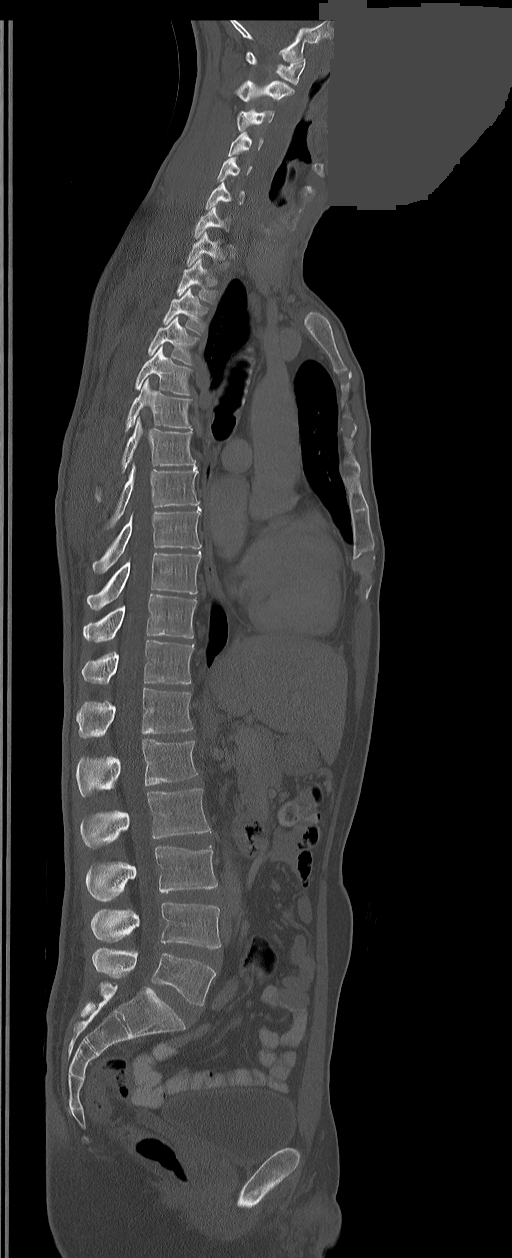 CT spine — sagittal view — an area of the scan was removed and filled with constant pixels. Box edges are left/top/right/bottom in pixels.
These labels give the spine a sixth lumbar vertebra, L6, below L5.
Vertebra bounding boxes:
- C1: left=246, top=52, right=305, bottom=84
- C2: left=236, top=81, right=293, bottom=102
- C3: left=237, top=110, right=274, bottom=132
- C4: left=228, top=133, right=263, bottom=156
- C5: left=217, top=157, right=252, bottom=181
- C6: left=205, top=182, right=244, bottom=210
- C7: left=195, top=206, right=229, bottom=238
- T1: left=186, top=232, right=226, bottom=268
- T2: left=177, top=259, right=214, bottom=302
- T3: left=163, top=288, right=204, bottom=333
- T4: left=148, top=316, right=197, bottom=364
- T5: left=135, top=346, right=191, bottom=394
- T6: left=125, top=378, right=191, bottom=431
- T7: left=95, top=419, right=195, bottom=501
- T8: left=107, top=464, right=198, bottom=527
- T9: left=92, top=506, right=201, bottom=573
- T10: left=87, top=552, right=201, bottom=609
- T11: left=84, top=594, right=197, bottom=641
- T12: left=82, top=639, right=194, bottom=684
- L1: left=76, top=688, right=192, bottom=738
- L2: left=76, top=739, right=197, bottom=796
- L3: left=81, top=789, right=210, bottom=848
- L4: left=87, top=846, right=217, bottom=900
- L5: left=91, top=903, right=220, bottom=949
- L6: left=92, top=948, right=216, bottom=1006